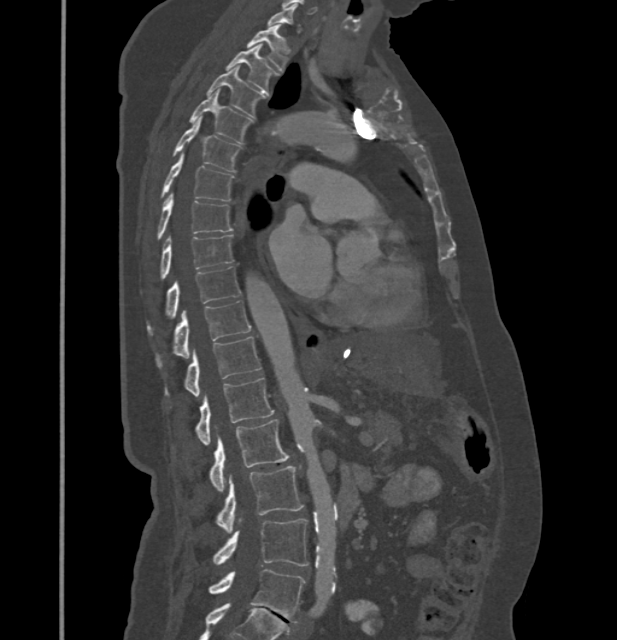
Computed tomography of the spine; sagittal view
Boxes below are [x1, y1, x2, y2] in pixels.
A vertebra gets a box only on the slices from the first to the last where its cross-section is at least a third of its largest; on a slice outside that range it gets none.
In these labels the thoracic vertebrae end at T11, so L1 follows T11.
{"vertebrae":{"T1":[247,25,288,71],"T2":[225,45,279,91],"T3":[207,66,267,118],"T4":[190,90,252,144],"T5":[172,119,240,172],"T6":[160,155,233,201],"T7":[157,193,232,239],"T8":[160,235,233,279],"T9":[147,267,240,336],"T10":[155,300,250,368],"T11":[164,336,261,396],"L1":[194,377,273,445],"L2":[209,419,288,491],"L3":[216,466,303,532],"L4":[212,519,308,565],"L5":[209,569,305,622]}}